CT, spine; Sagittal slice 220/512; 536x664 px
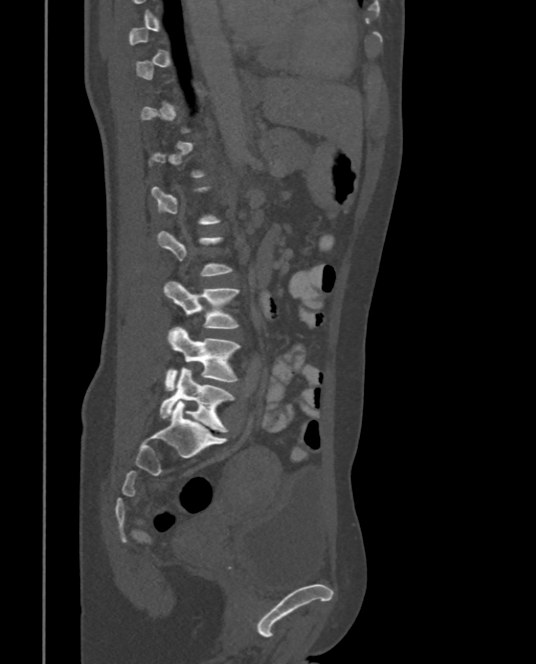
Boxes: x1:y1:x2:y2 in pixels. A vertebra is boxed only from the first to the last slice where its cross-section is at least a third of its largest; slices outside that range leave it without a box. Vertebrae labeled: L5 at 160:367:233:432, L4 at 164:327:241:390, L3 at 162:281:239:329.